Computed tomography of the spine · image 381 mm wide · sagittal reformat · 381x252 px
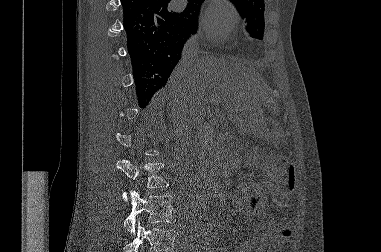
Box values are [left, top, right, bottom] in pixels.
A vertebra is boxed only from the first to the last slice where its cross-section is at least a third of its largest; slices outside that range leave it without a box.
Where the bottom of the scan cuts through a vertebra, that vertebra gets no label or box.
{"vertebrae":{"L2":[116,159,168,201],"L3":[124,190,175,234]}}